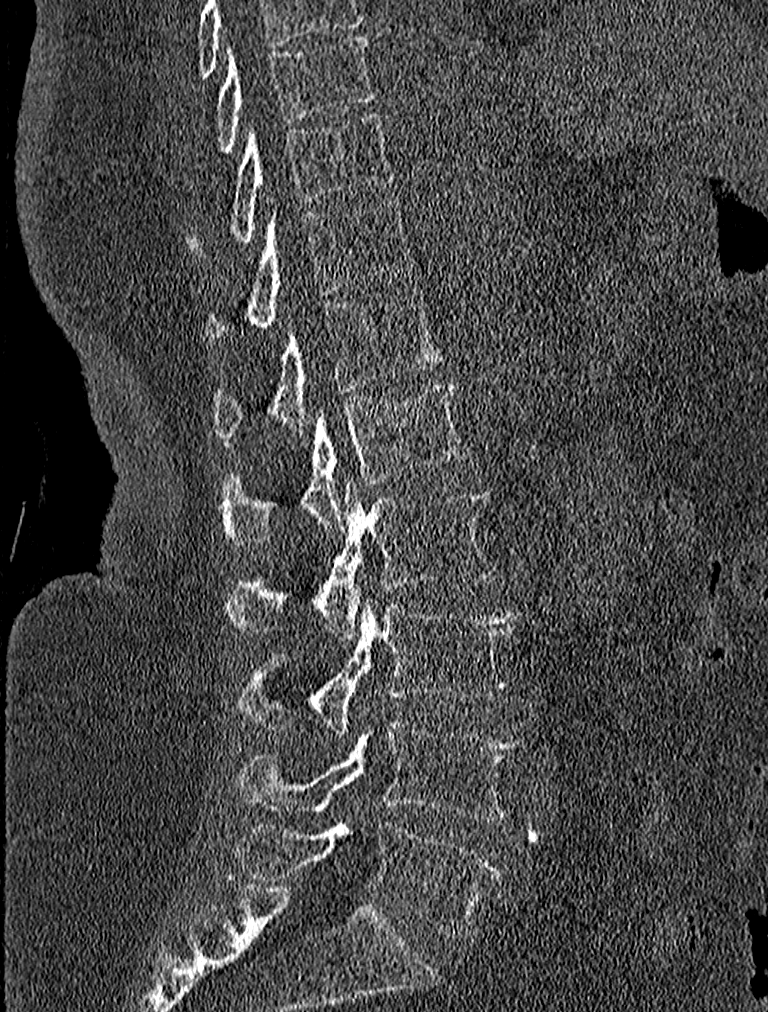

CT; sagittal view; W/L 1800/400 HU; 768x1012 px. Each box given as x1,y1,x2,y2.
T9: x1=215, y1=33, x2=373, y2=151
T10: x1=188, y1=111, x2=397, y2=256
T11: x1=205, y1=193, x2=411, y2=342
T12: x1=215, y1=288, x2=444, y2=442
L1: x1=222, y1=382, x2=468, y2=543
L2: x1=225, y1=477, x2=495, y2=637
L3: x1=239, y1=597, x2=519, y2=734
L4: x1=239, y1=722, x2=522, y2=820
L5: x1=236, y1=821, x2=502, y2=935